CT, spine; sagittal plane, index 285; bone window; 17 vertebrae labeled in this scan
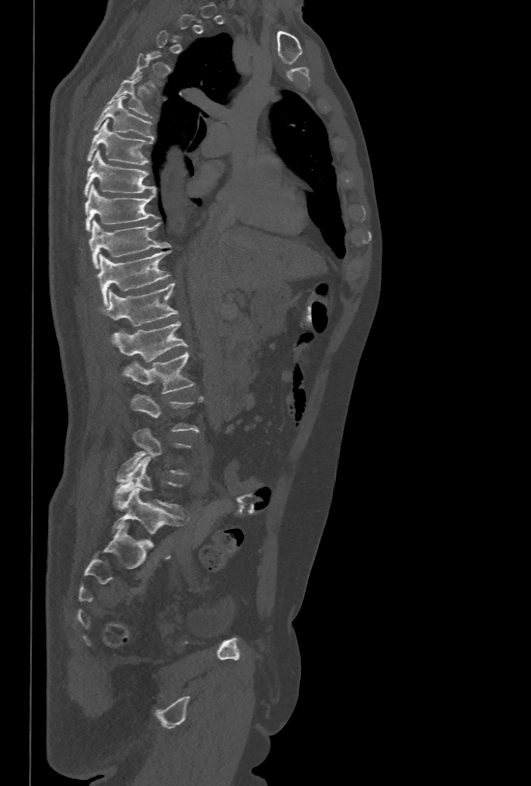 Box values are [left, top, right, bottom] in pixels.
Each vertebra is boxed only on the slices from the first to the last where its cross-section reaches a third of its largest, so a slice outside that range leaves it unboxed.
{"vertebrae":{"T5":[107,75,153,118],"T6":[93,96,154,138],"T7":[87,120,151,164],"T8":[84,150,155,196],"T9":[84,184,157,231],"T10":[89,220,170,268],"T11":[96,250,170,305],"T12":[99,283,177,325],"L1":[111,322,188,362],"L2":[123,352,194,393],"L5":[115,456,183,513]}}